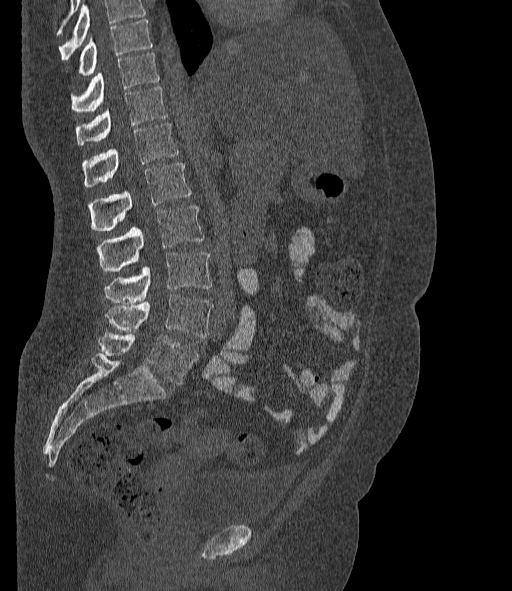 CT · sagittal view · 512x591 px
Boxes: x1:y1:x2:y2 in pixels. No box is given to a vertebra that the top edge of the scan cuts off. The labels name a sixth lumbar vertebra for this spine: L6, after L5. Vertebrae labeled: T10 at 80:19:151:75, T11 at 72:53:159:112, T12 at 76:87:167:144, L1 at 83:122:178:186, L2 at 88:163:192:231, L3 at 98:205:204:271, L4 at 104:253:211:303, L5 at 106:295:213:337, L6 at 98:330:198:385.